CT. Sagittal slice 34/57. Bone window (WL 400, WW 1800). 175x175 px
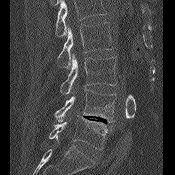

Boxes are given in columns x1, y1, x2, y2, the pixel coordinates of their top-left and bottom-right corners.
Vertebrae that run past the top of the scan are left unlabeled.
| vertebra | x1 | y1 | x2 | y2 |
|---|---|---|---|---|
| L2 | 57 | 22 | 112 | 68 |
| L3 | 60 | 54 | 116 | 95 |
| L4 | 54 | 89 | 116 | 122 |
| L5 | 49 | 115 | 108 | 149 |